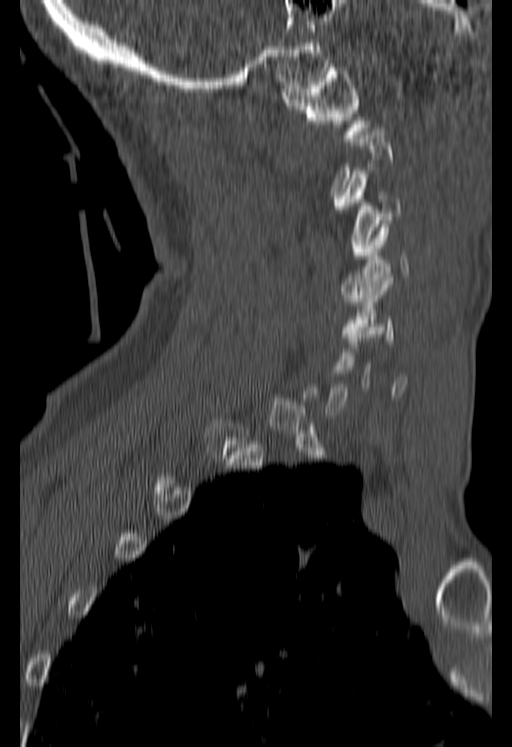

Spine CT — sagittal view — 512x747 px — the image spans 180 mm across
Boxes: x1 y1 x2 y2 (pixel coords, space-separated).
Not every vertebra on this slice has a box: a vertebra is boxed only from the first to the last slice where its cross-section is at least a third of its largest, and this slice is outside that range for at least one of them.
C5: 342 274 393 340
C4: 342 220 409 301
C3: 334 171 401 255
C1: 282 64 369 141